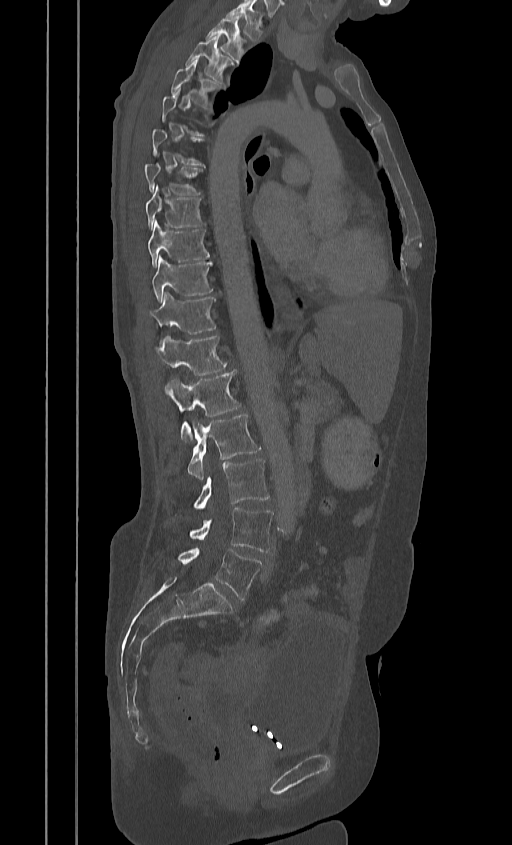
CT — sagittal view — 512x845 px

Each box given as x1,y1,x2,y2.
A vertebra is boxed only from the first to the last slice where its cross-section is at least a third of its largest; slices outside that range leave it without a box.
Labels in this scan begin with T2 at the top and end with L5 at the bottom.
Vertebra bounding boxes:
- T2: x1=206, y1=17, x2=243, y2=63
- T3: x1=185, y1=37, x2=232, y2=82
- T4: x1=170, y1=60, x2=221, y2=106
- T7: x1=144, y1=163, x2=201, y2=195
- T8: x1=145, y1=185, x2=204, y2=230
- T9: x1=148, y1=220, x2=209, y2=267
- T10: x1=152, y1=256, x2=212, y2=302
- T11: x1=146, y1=292, x2=215, y2=343
- T12: x1=154, y1=336, x2=227, y2=375
- L1: x1=165, y1=371, x2=240, y2=440
- L2: x1=188, y1=413, x2=260, y2=479
- L3: x1=193, y1=459, x2=269, y2=508
- L4: x1=189, y1=508, x2=273, y2=552
- L5: x1=177, y1=548, x2=261, y2=600